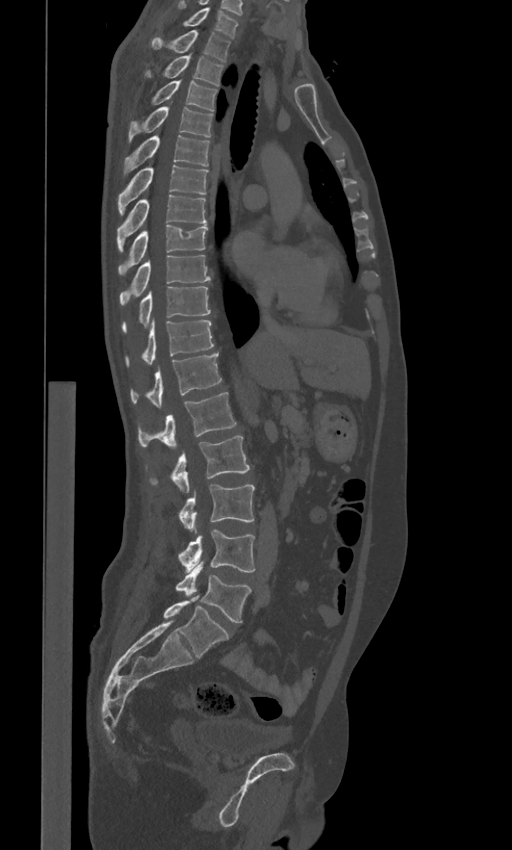
Computed tomography of the spine; 443 mm wide; sagittal view; 512x850 px
Each vertebra maps to its box as [x1, y1, x2, y2], the pixel coordinates of its top-left and bottom-right corners.
The labels name a sixth lumbar vertebra for this spine: L6, after L5.
{"vertebrae":{"L6":[163,595,229,657],"L5":[176,562,251,622],"L4":[178,529,254,571],"L3":[179,485,254,529],"L2":[150,436,250,492],"L1":[137,392,236,447],"T12":[131,352,222,408],"T11":[125,319,214,366],"T10":[121,286,210,332],"T9":[119,255,210,305],"T8":[118,225,207,275],"T7":[117,195,206,252],"T6":[118,164,208,214],"T5":[124,135,209,175],"T4":[128,107,213,142],"T3":[151,80,217,110],"T2":[144,56,223,85],"T1":[151,29,230,61],"C7":[183,7,238,37]}}